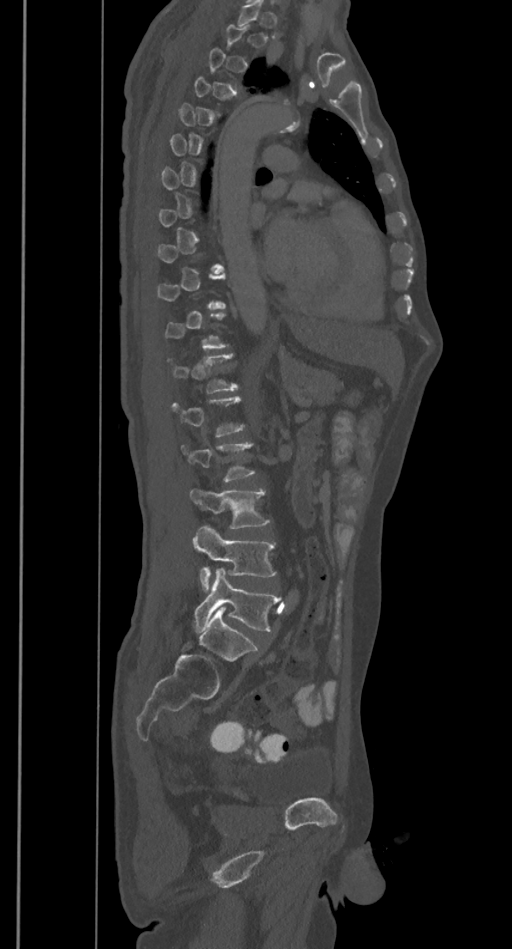

Spine CT; sagittal view

A vertebra is boxed only from the first to the last slice where its cross-section is at least a third of its largest; slices outside that range leave it without a box.
<vertebrae><v name="L3" x1="190" y1="490" x2="270" y2="528"/><v name="L4" x1="193" y1="525" x2="275" y2="590"/><v name="L5" x1="194" y1="567" x2="281" y2="631"/></vertebrae>